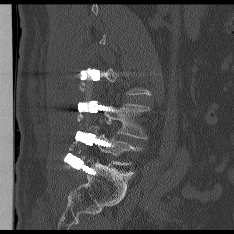 CT, spine; sagittal view; Bone window (WL 400, WW 1800); 234x234 px
Boxes are (x1, y1, x2, y2) in pixels.
Not every vertebra on this slice has a box: a vertebra is boxed only from the first to the last slice where its cross-section is at least a third of its largest, and this slice is outside that range for at least one of them.
L4: (104, 104, 149, 139)
L5: (98, 122, 139, 164)